Spine computed tomography. sagittal plane, index 238. bone window. 512x878 px
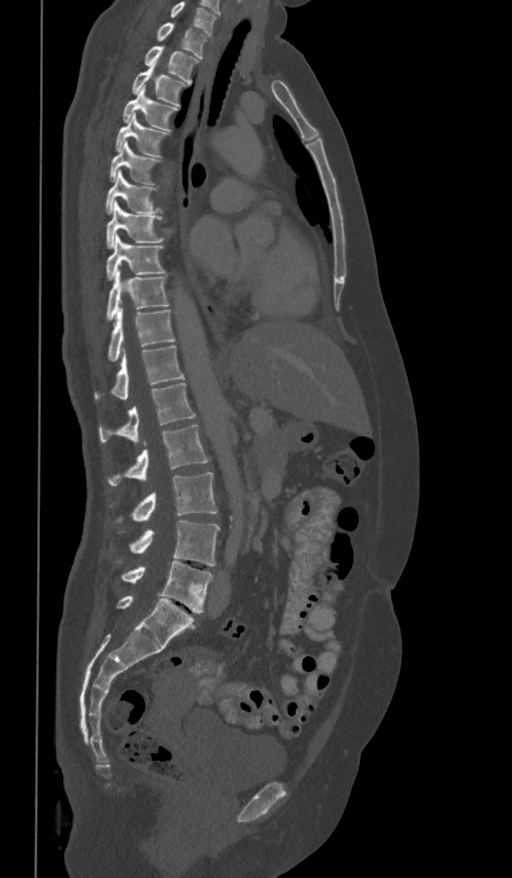

Each box given as x1,y1,x2,y2.
This scan's labels start at T1 at the top and end at L5 at the bottom.
T1: x1=156, y1=23, x2=209, y2=58
T2: x1=143, y1=46, x2=199, y2=83
T3: x1=132, y1=65, x2=187, y2=106
T4: x1=122, y1=86, x2=179, y2=132
T5: x1=115, y1=114, x2=170, y2=157
T6: x1=109, y1=140, x2=162, y2=184
T7: x1=105, y1=171, x2=162, y2=213
T8: x1=106, y1=200, x2=163, y2=248
T9: x1=105, y1=235, x2=166, y2=280
T10: x1=105, y1=269, x2=169, y2=322
T11: x1=106, y1=306, x2=176, y2=362
T12: x1=93, y1=345, x2=185, y2=400
L1: x1=99, y1=383, x2=196, y2=443
L2: x1=106, y1=425, x2=209, y2=485
L3: x1=109, y1=472, x2=217, y2=522
L4: x1=109, y1=521, x2=220, y2=566
L5: x1=120, y1=560, x2=213, y2=613